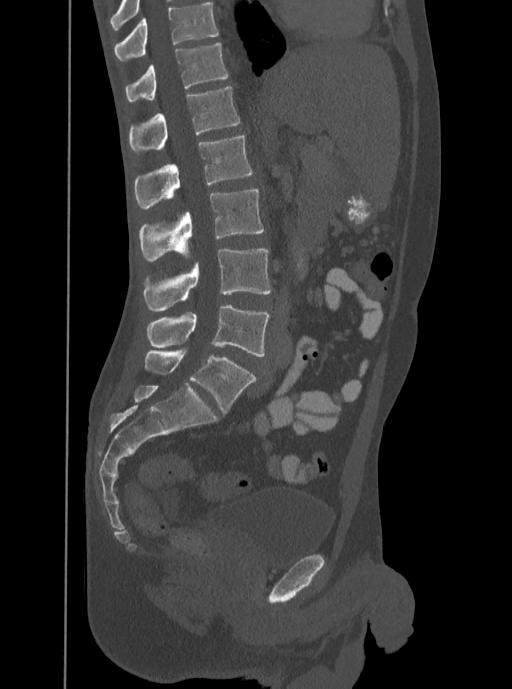 Computed tomography of the spine; the image is 350 mm wide; sagittal view; W/L 1800/400 HU. Coordinates as <box>x1,y1,x2,y2</box>. This scan's labels start at T12 at the top and end at L5 at the bottom. The labeled vertebrae in this slice are: T12 at <box>126,42,228,100</box>, L1 at <box>128,86,240,153</box>, L2 at <box>134,136,252,208</box>, L3 at <box>139,188,264,261</box>, L4 at <box>143,249,271,311</box>, L5 at <box>147,305,269,356</box>.